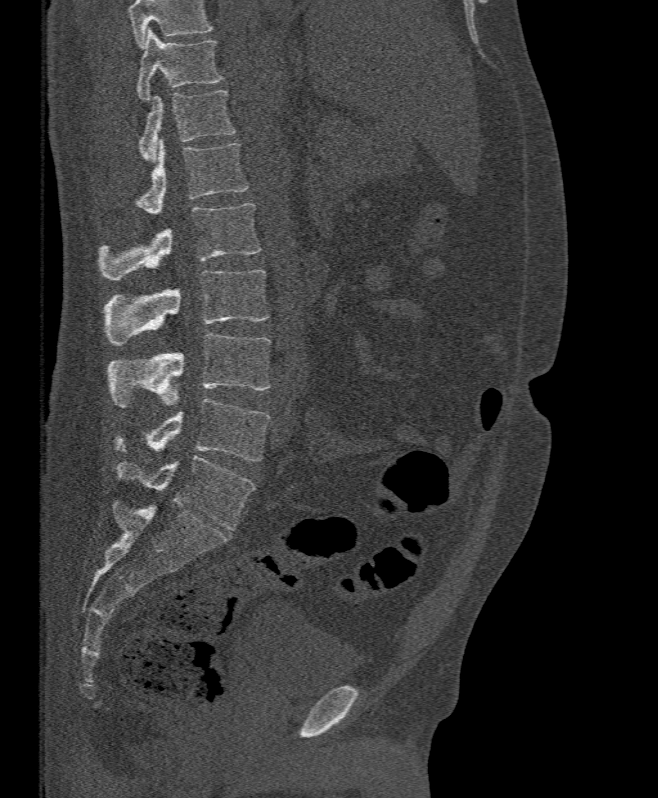 Spine computed tomography · sagittal view · W/L 1800/400 HU · 658x798 px

Coordinates as <box>x1,y1,x2,y2</box>.
Where the top of the scan cuts through a vertebra, that vertebra gets no label or box.
T11: <box>136,27,223,101</box>
T12: <box>139,90,236,163</box>
L1: <box>136,138,248,214</box>
L2: <box>98,203,260,281</box>
L3: <box>104,270,269,346</box>
L4: <box>107,333,270,407</box>
L5: <box>113,398,269,461</box>